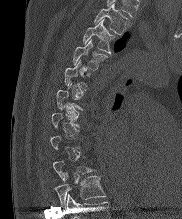

CT; sagittal view; Bone window (WL 400, WW 1800); 182x219 px
Boxes: x1:y1:x2:y2 in pixels.
Not every vertebra on this slice has a box: a vertebra is boxed only from the first to the last slice where its cross-section is at least a third of its largest, and this slice is outside that range for at least one of them.
Labels in this scan begin with T2 at the top and end with T10 at the bottom.
T2: 94:4:130:34
T3: 83:19:117:54
T4: 72:39:107:70
T5: 64:59:92:90
T10: 55:173:105:207